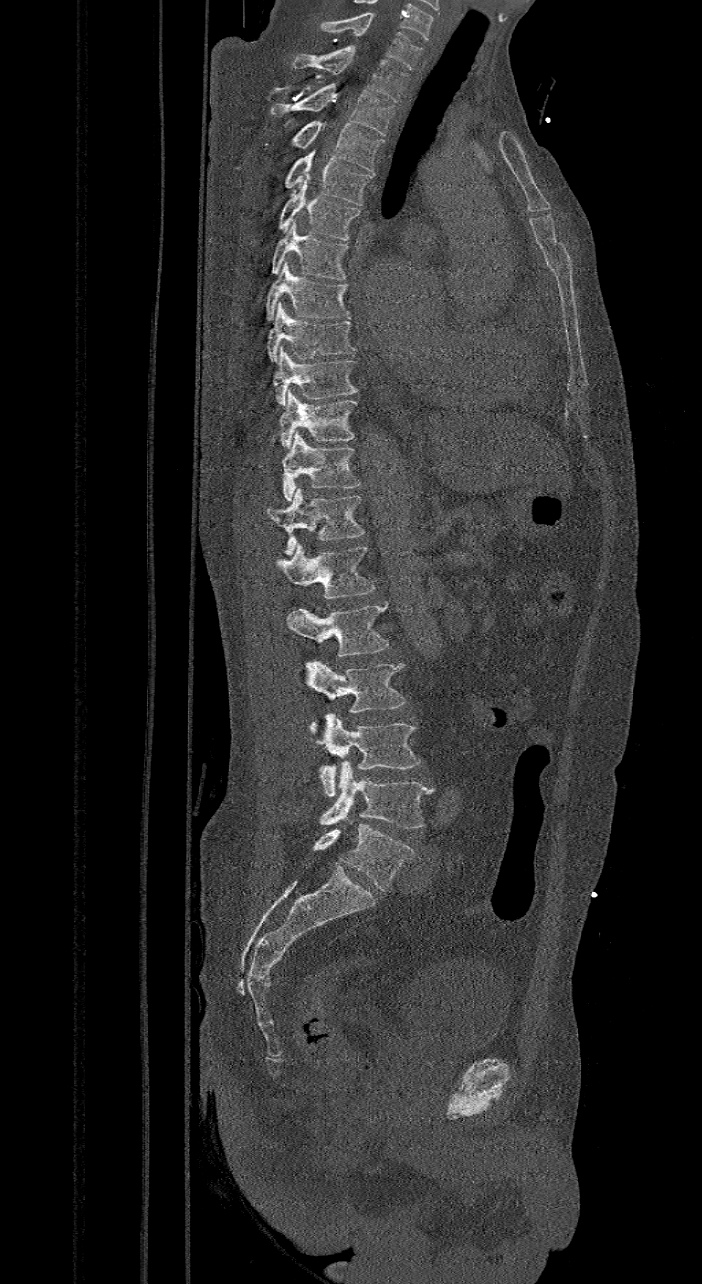 CT, spine — sagittal view — 702x1284 px. Each box given as x1,y1,x2,y2. The labels name a sixth lumbar vertebra for this spine: L6, after L5. Vertebrae labeled: L6 at x1=314, y1=818, x2=414, y2=892, L5 at x1=319, y1=761, x2=432, y2=828, L4 at x1=315, y1=713, x2=421, y2=796, L3 at x1=301, y1=661, x2=406, y2=729, L2 at x1=286, y1=600, x2=388, y2=657, L1 at x1=273, y1=544, x2=375, y2=597, T12 at x1=266, y1=489, x2=364, y2=555, T11 at x1=281, y1=430, x2=361, y2=501, T10 at x1=278, y1=389, x2=357, y2=448, T9 at x1=273, y1=345, x2=358, y2=406, T8 at x1=266, y1=301, x2=355, y2=362, T7 at x1=266, y1=260, x2=351, y2=320, T6 at x1=270, y1=219, x2=348, y2=279, T5 at x1=275, y1=175, x2=359, y2=240, T4 at x1=285, y1=149, x2=375, y2=205, T3 at x1=293, y1=120, x2=384, y2=171, T2 at x1=270, y1=83, x2=395, y2=135, T1 at x1=292, y1=45, x2=407, y2=102, C7 at x1=319, y1=15, x2=422, y2=69.